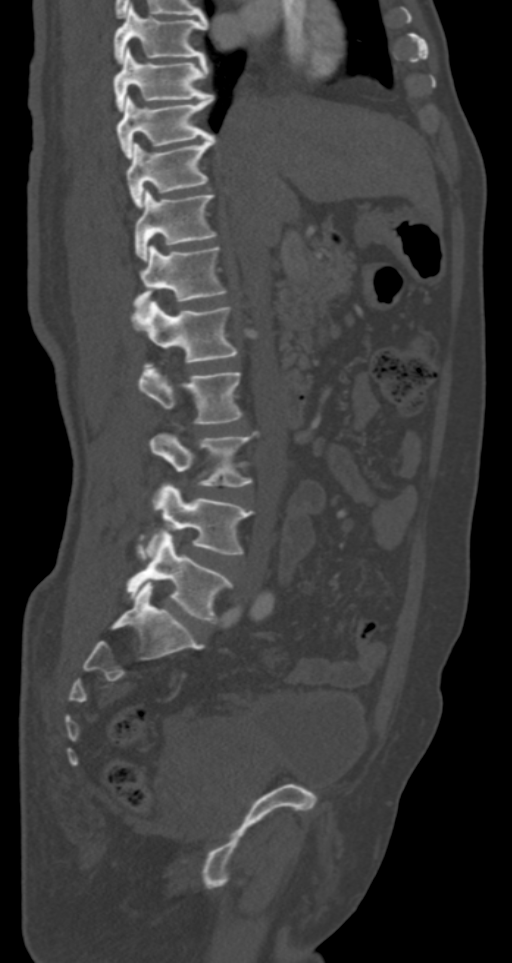
Computed tomography of the spine — sagittal view — bone window
Boxes: x1 y1 x2 y2 (pixel coords, space-separated). Vertebrae labeled: L5 at 126 532 232 623, L4 at 136 483 252 558, L3 at 149 433 255 486, L2 at 139 363 241 424, L1 at 132 301 238 362, T12 at 133 246 225 309, T11 at 135 189 216 259, T10 at 126 135 216 205, T9 at 116 94 214 159, T8 at 114 47 207 109, T7 at 114 4 207 63.